Spine computed tomography; sagittal view; bone window; image 171 mm wide; 3 vertebrae labeled in this scan
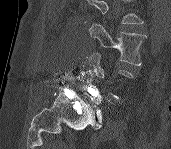 A vertebra is boxed only from the first to the last slice where its cross-section is at least a third of its largest; slices outside that range leave it without a box.
A vertebra cut off by the top edge of the scan is not labeled and has no box.
<vertebrae><v name="L5" x1="77" y1="70" x2="116" y2="129"/><v name="L3" x1="89" y1="23" x2="146" y2="65"/></vertebrae>